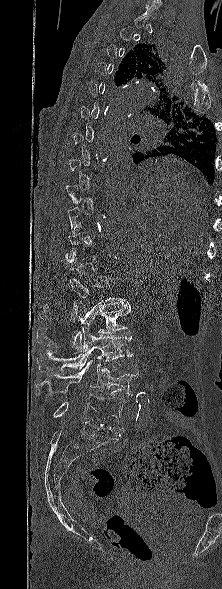 CT; sagittal reformat; Bone window (WL 400, WW 1800); 222x589 px. Boxes: x1:y1:x2:y2 in pixels.
Each vertebra is boxed only on the slices from the first to the last where its cross-section reaches a third of its largest, so a slice outside that range leaves it unboxed.
L5: 53:394:124:430
L4: 35:360:139:395
L3: 37:328:132:372
L2: 37:301:130:351